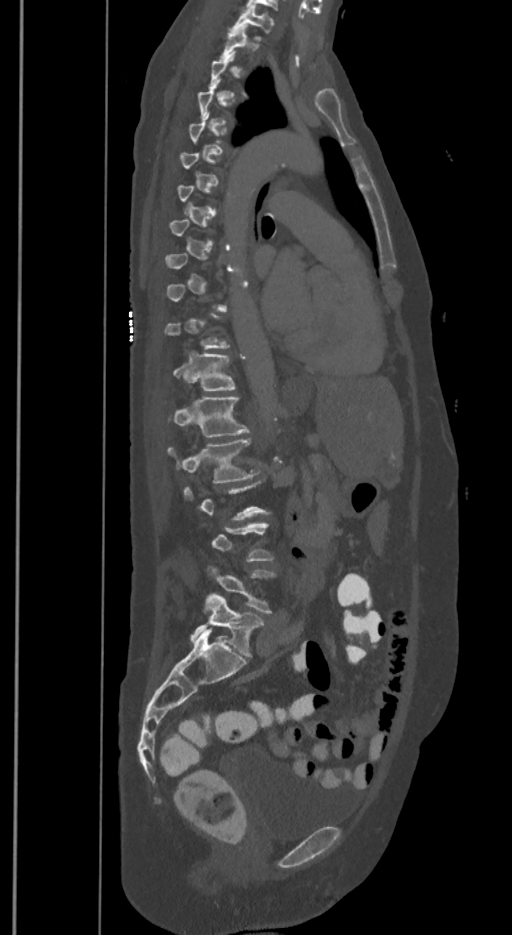 CT spine — image width 350 mm — sagittal view. Box edges are left/top/right/bottom in pixels.
A vertebra gets a box only on the slices from the first to the last where its cross-section is at least a third of its largest; on a slice outside that range it gets none.
In these labels the spine has an L6, a sixth lumbar vertebra below L5.
Vertebra bounding boxes:
- T1: left=232, top=7, right=274, bottom=35
- T2: left=221, top=26, right=256, bottom=65
- T12: left=172, top=353, right=236, bottom=391
- L1: left=169, top=396, right=249, bottom=436
- L2: left=167, top=438, right=258, bottom=483
- L5: left=206, top=565, right=275, bottom=613
- L6: left=190, top=592, right=264, bottom=657